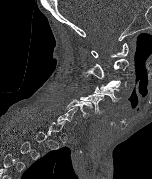
Spine computed tomography · 152 mm image width · sagittal view · Bone window (WL 400, WW 1800)
Box values are [left, top, right, bottom] in pixels.
A vertebra is boxed only from the first to the last slice where its cross-section is at least a third of its largest; slices outside that range leave it without a box.
{"vertebrae":{"C6":[66,99,92,117],"C5":[79,93,104,114],"C4":[94,86,121,102],"C3":[100,80,126,90],"C2":[82,58,128,79],"C1":[91,43,128,57]}}